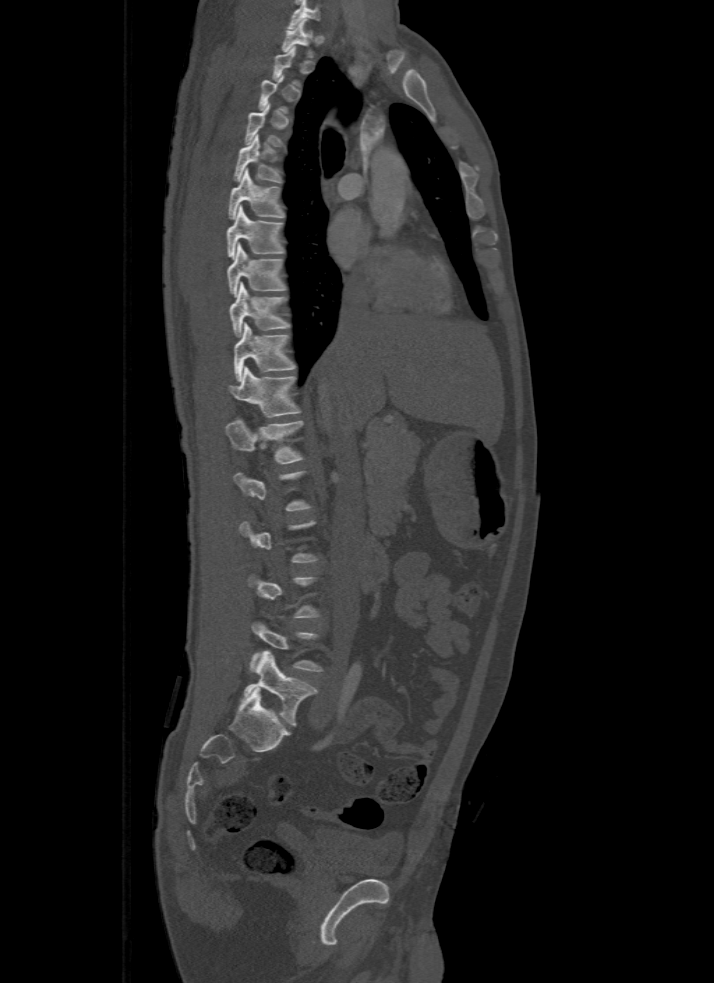

Computed tomography of the spine — sagittal reformat

Each box given as x1,y1,x2,y2.
A vertebra is boxed only from the first to the last slice where its cross-section is at least a third of its largest; slices outside that range leave it without a box.
Labels in this scan begin with T1 at the top and end with L5 at the bottom.
Vertebra bounding boxes:
- L5: x1=241, y1=650, x2=317, y2=725
- T12: x1=226, y1=419, x2=303, y2=464
- T11: x1=229, y1=366, x2=300, y2=417
- T10: x1=234, y1=323, x2=295, y2=381
- T9: x1=229, y1=282, x2=289, y2=335
- T8: x1=227, y1=243, x2=285, y2=297
- T7: x1=227, y1=205, x2=284, y2=258
- T6: x1=229, y1=168, x2=285, y2=219
- T5: x1=233, y1=135, x2=281, y2=182
- T4: x1=244, y1=103, x2=284, y2=147
- T1: x1=282, y1=19, x2=313, y2=57